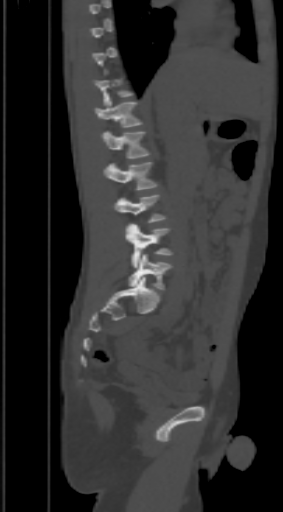 CT, spine; sagittal reformat; Bone window (WL 400, WW 1800)
Each box given as x1,y1,x2,y2.
A vertebra gets a box only on the slices from the first to the last where its cross-section is at least a third of its largest; on a slice outside that range it gets none.
L5: x1=129, y1=254, x2=173, y2=289
L4: x1=126, y1=223, x2=173, y2=267
L3: x1=115, y1=195, x2=164, y2=222
L2: x1=104, y1=162, x2=156, y2=191
L1: x1=101, y1=131, x2=150, y2=158
T12: x1=95, y1=99, x2=142, y2=127
T11: x1=92, y1=69, x2=133, y2=105